CT, spine. sagittal view. 17 vertebrae labeled in this scan
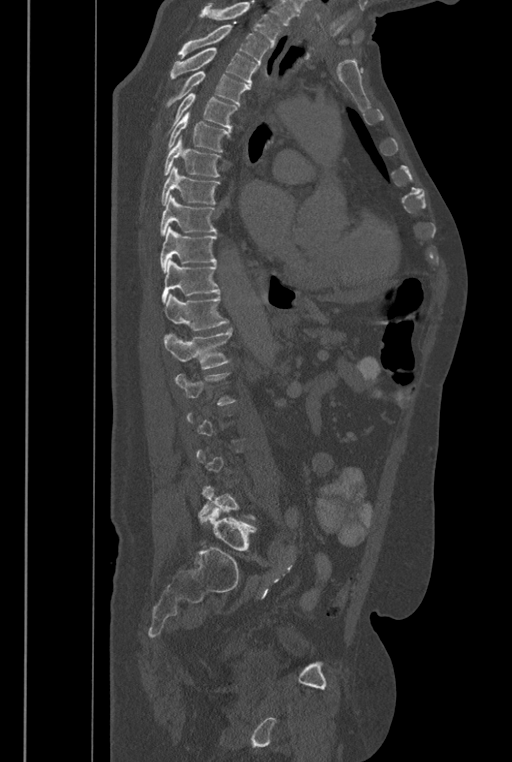
Box values are [left, top, right, bottom] in pixels.
Not every vertebra on this slice has a box: a vertebra is boxed only from the first to the last slice where its cross-section is at least a third of its largest, and this slice is outside that range for at least one of them.
Where the top of the scan cuts through a vertebra, that vertebra gets no label or box.
The labels name a sixth lumbar vertebra for this spine: L6, after L5.
{"vertebrae":{"T2":[178,25,269,63],"T3":[170,48,257,87],"T4":[166,71,249,107],"T5":[165,93,238,135],"T6":[167,112,230,152],"T7":[163,135,220,176],"T8":[161,165,220,205],"T9":[159,195,217,236],"T10":[159,226,217,273],"T11":[162,259,220,304],"T12":[164,293,229,330],"L1":[164,329,232,369],"L6":[200,507,256,551]}}